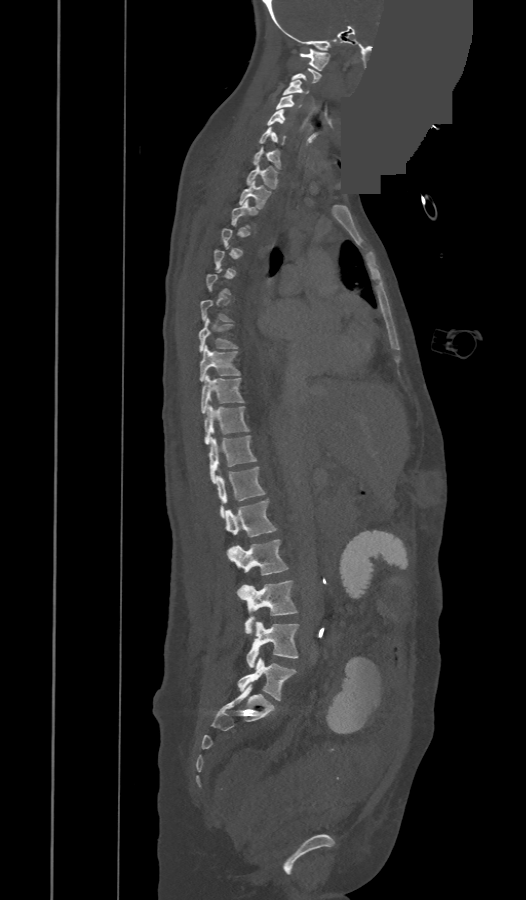
CT. sagittal view. W/L 1800/400 HU. 526x900 px. part of the image has been replaced by a constant value. Boxes: x1 y1 x2 y2 (pixel coords, space-separated).
Each vertebra is boxed only on the slices from the first to the last where its cross-section reaches a third of its largest, so a slice outside that range leaves it unboxed.
The labels name an extra thoracic vertebra here, T13, which comes after T12 and before L1.
C1: 300 48 330 70
C3: 283 80 308 95
C4: 275 95 294 109
C5: 267 109 284 125
C6: 259 128 284 145
C7: 254 148 280 169
T1: 246 166 277 189
T2: 239 181 270 209
T3: 231 200 257 228
T7: 201 299 232 321
T8: 199 318 238 352
T9: 199 346 240 382
T10: 201 375 243 414
T11: 204 406 249 444
T12: 208 436 257 482
T13: 217 467 265 517
L1: 226 499 275 551
L2: 228 539 287 575
L3: 239 580 297 634
L4: 246 622 299 667
L5: 238 658 296 700